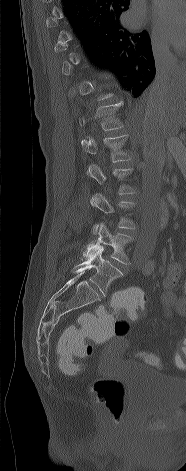

Spine computed tomography; sagittal reformat; Bone window (WL 400, WW 1800)
Each box given as x1,y1,x2,y2.
A vertebra gets a box only on the slices from the first to the last where its cross-section is at least a third of its largest; on a slice outside that range it gets none.
T12: x1=78, y1=101, x2=124, y2=130
L1: x1=81, y1=134, x2=130, y2=162
L2: x1=87, y1=163, x2=135, y2=194
L3: x1=90, y1=194, x2=135, y2=234
L4: x1=81, y1=223, x2=132, y2=264
L5: x1=72, y1=245, x2=122, y2=295